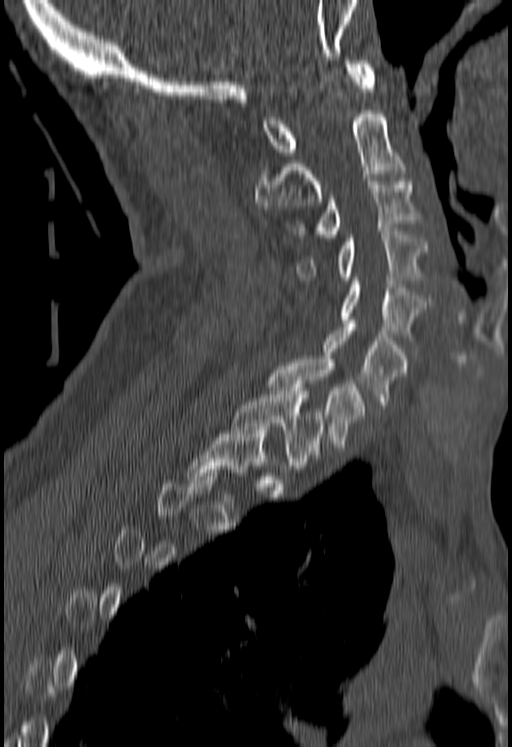
Spine CT. sagittal view. image width 180 mm
Coordinates as <box>x1,y1,x2,y2</box>.
Each vertebra is boxed only on the slices from the first to the last where its cross-section reaches a third of its largest, so a slice outside that range leaves it unboxed.
Vertebra bounding boxes:
- T1: <box>232,391,324,468</box>
- C7: <box>268,359,366,447</box>
- C6: <box>324,324,407,404</box>
- C5: <box>342,277,427,337</box>
- C4: <box>298,231,429,283</box>
- C3: <box>291,174,418,237</box>
- C2: <box>254,110,404,209</box>
- C1: <box>263,60,375,155</box>